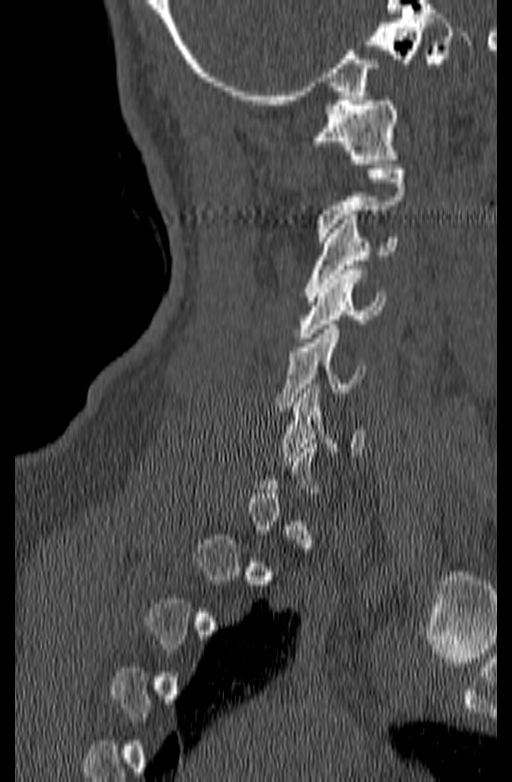 Computed tomography of the spine — 140 mm across the image — sagittal reformat — Bone window (WL 400, WW 1800) — 512x782 px

Each box is [x1, y1, x2, y2] in pixels: top-left corner, then bottom-right corner.
Each vertebra is boxed only on the slices from the first to the last where its cross-section reaches a third of its largest, so a slice outside that range leaves it unboxed.
{"vertebrae":{"C6":[281,384,363,461],"C5":[275,325,365,406],"C4":[297,265,386,342],"C3":[305,215,397,301],"C2":[316,169,406,241],"C1":[310,96,398,164]}}